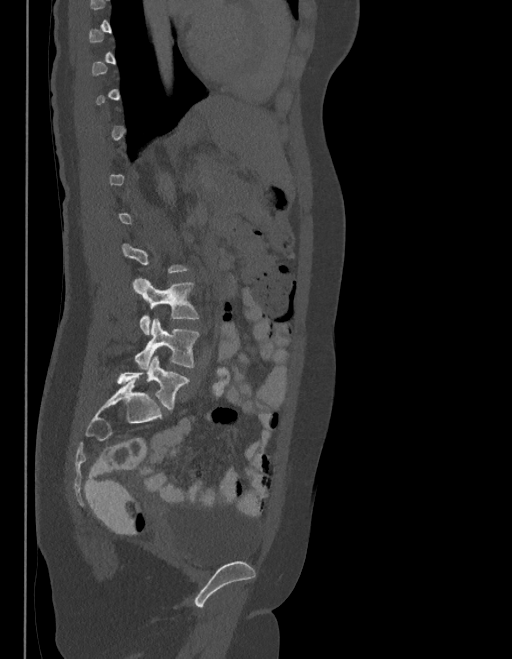
Spine CT · sagittal reformat · W/L 1800/400 HU · 512x659 px · image 403 mm wide

Each box given as x1,y1,x2,y2.
Not every vertebra on this slice has a box: a vertebra is boxed only from the first to the last slice where its cross-section is at least a third of its largest, and this slice is outside that range for at least one of them.
These labels give the spine a sixth lumbar vertebra, L6, below L5.
L6: x1=117, y1=357, x2=188, y2=409
L5: x1=135, y1=318, x2=198, y2=369
L4: x1=133, y1=279, x2=198, y2=334